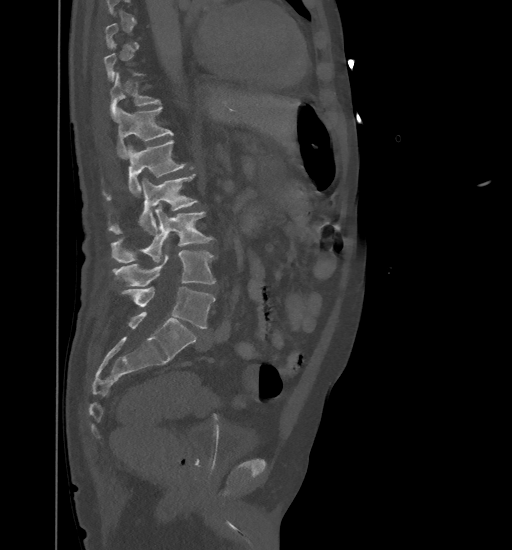 Computed tomography of the spine. sagittal view. Coordinates as <box>x1,y1,x2,y2</box>. Each vertebra is boxed only on the slices from the first to the last where its cross-section reaches a third of its largest, so a slice outside that range leaves it unboxed. Vertebrae labeled: T11 at <box>110,73,159,121</box>, T12 at <box>116,107,172,158</box>, L1 at <box>107,140,185,198</box>, L2 at <box>108,173,197,234</box>, L3 at <box>111,206,213,262</box>, L4 at <box>113,245,215,286</box>, L5 at <box>119,287,215,328</box>.